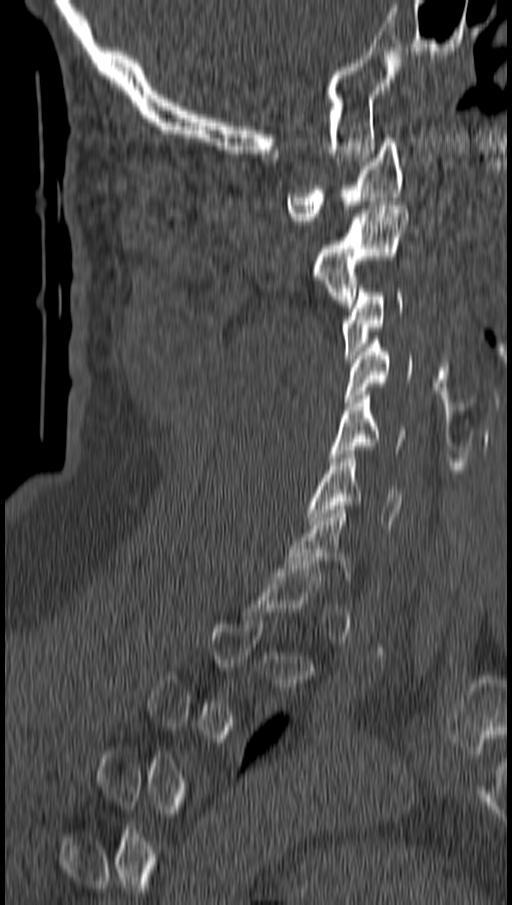 CT spine — sagittal view — W/L 1800/400 HU
A vertebra is boxed only from the first to the last slice where its cross-section is at least a third of its largest; slices outside that range leave it without a box.
<vertebrae><v name="C6" x1="308" y1="450" x2="401" y2="528"/><v name="C5" x1="330" y1="391" x2="405" y2="461"/><v name="C4" x1="346" y1="336" x2="411" y2="406"/><v name="C3" x1="342" y1="284" x2="402" y2="362"/><v name="C2" x1="314" y1="201" x2="408" y2="307"/><v name="C1" x1="287" y1="138" x2="403" y2="224"/></vertebrae>